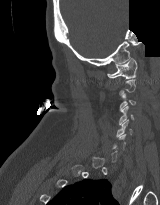 Spine CT. sagittal reformat. 160 mm wide. a region of this slice is masked with a uniform fill. Boxes: x1 y1 x2 y2 (pixel coords, space-separated). A vertebra gets a box only on the slices from the first to the last where its cross-section is at least a third of its largest; on a slice outside that range it gets none. The labeled vertebrae in this slice are: C5 at 116 119 132 137, C4 at 119 106 134 125, C3 at 119 93 135 111, C1 at 107 58 137 78.